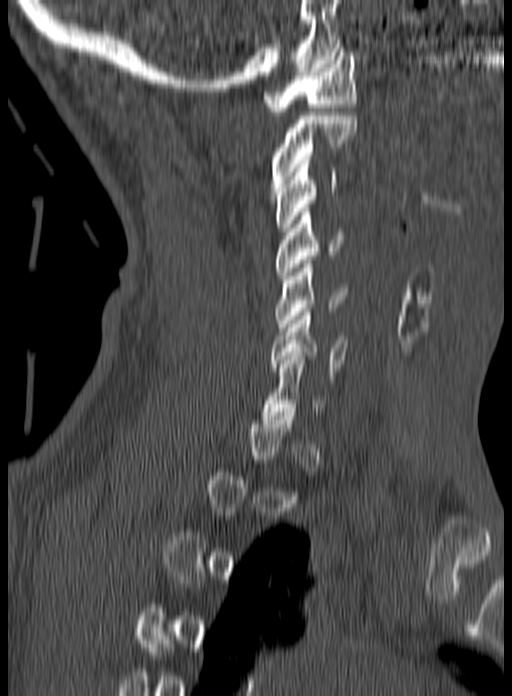 CT — sagittal view — 512x696 px
Bounding boxes as [x1, y1, x2, y2] in pixel coordinates.
Each vertebra is boxed only on the slices from the first to the last where its cross-section reaches a third of its largest, so a slice outside that range leaves it unboxed.
C1: [262, 48, 357, 115]
C2: [270, 112, 357, 195]
C3: [275, 160, 336, 231]
C4: [276, 208, 342, 279]
C5: [275, 260, 347, 331]
C6: [270, 308, 348, 383]